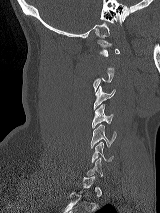

CT spine. 160 mm wide. sagittal view. W/L 1800/400 HU
Coordinates as <box>x1,y1,x2,y2</box>.
Each vertebra is boxed only on the slices from the first to the last where its cross-section reaches a third of its largest, so a slice outside that range leaves it unboxed.
C6: <box>91,142,113,162</box>
C5: <box>91,124,116,148</box>
C4: <box>92,104,112,127</box>
C3: <box>93,86,115,109</box>